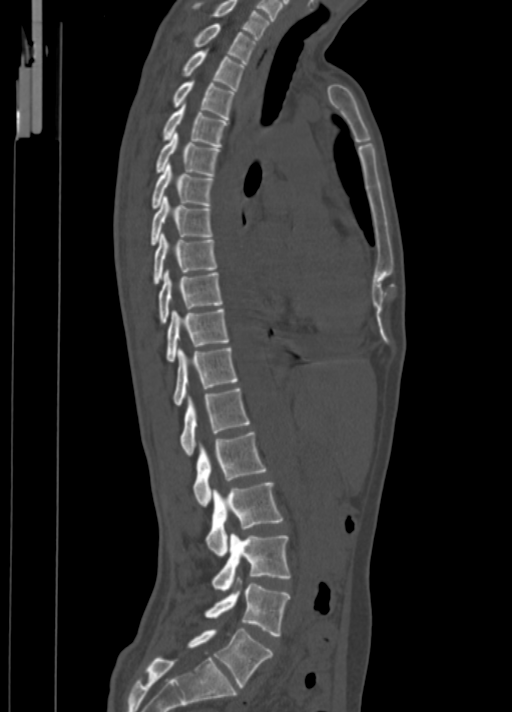 CT · sagittal view · image 350 mm wide

Bounding boxes as [x1, y1, x2, y2] in pixel coordinates.
Vertebra bounding boxes:
- C7: [193, 0, 269, 38]
- T1: [193, 23, 256, 63]
- T2: [181, 50, 245, 90]
- T3: [172, 80, 234, 119]
- T4: [162, 105, 228, 147]
- T5: [155, 133, 220, 175]
- T6: [150, 164, 214, 208]
- T7: [150, 196, 212, 245]
- T8: [153, 233, 217, 284]
- T9: [158, 271, 223, 324]
- T10: [165, 309, 228, 362]
- T11: [172, 347, 237, 406]
- T12: [180, 388, 250, 455]
- L1: [193, 432, 266, 507]
- L2: [206, 481, 283, 556]
- L3: [212, 534, 290, 590]
- L4: [205, 584, 290, 637]
- L5: [187, 629, 272, 688]